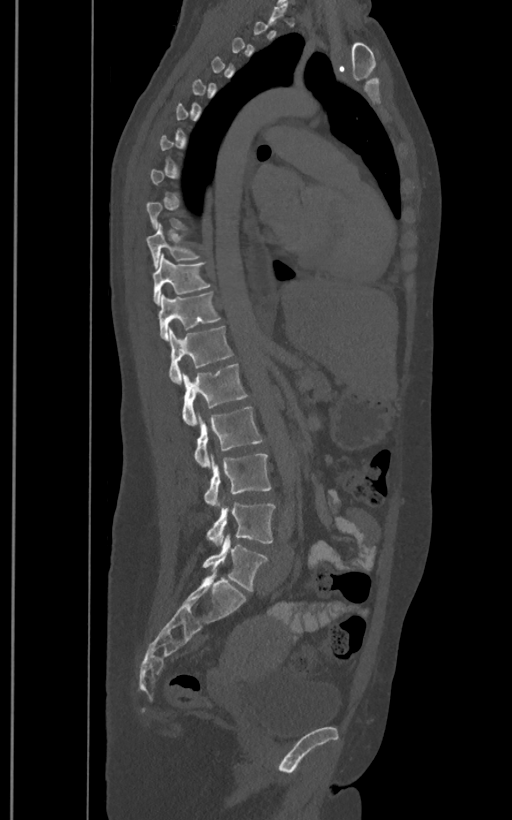

CT; sagittal view; 400 mm across the image

A vertebra gets a box only on the slices from the first to the last where its cross-section is at least a third of its largest; on a slice outside that range it gets none.
These labels give the spine a sixth lumbar vertebra, L6, below L5.
<vertebrae><v name="T10" x1="146" y1="223" x2="199" y2="267"/><v name="T11" x1="152" y1="255" x2="210" y2="304"/><v name="T12" x1="159" y1="291" x2="220" y2="339"/><v name="L1" x1="169" y1="326" x2="233" y2="383"/><v name="L2" x1="182" y1="363" x2="248" y2="426"/><v name="L3" x1="194" y1="407" x2="264" y2="468"/><v name="L4" x1="205" y1="453" x2="270" y2="507"/><v name="L5" x1="207" y1="497" x2="274" y2="545"/><v name="L6" x1="202" y1="533" x2="268" y2="590"/></vertebrae>